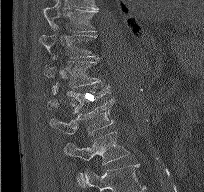
Spine CT. sagittal reformat. 204x192 px

Each box given as x1,y1,x2,y2.
The highest labeled vertebra in this scan is T9; the lowest is L2.
Vertebra bounding boxes:
- T9: x1=43, y1=2, x2=99, y2=32
- T10: x1=39, y1=25, x2=98, y2=59
- T11: x1=45, y1=61, x2=100, y2=91
- T12: x1=44, y1=85, x2=111, y2=113
- L1: x1=50, y1=98, x2=113, y2=135
- L2: x1=64, y1=131, x2=129, y2=165